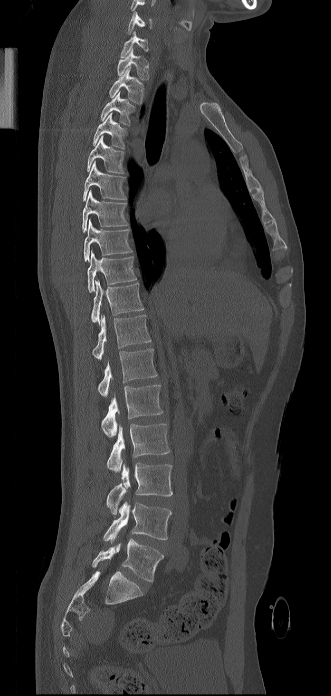 CT — sagittal view — the image spans 331 mm across — 331x696 px. Boxes: x1 y1 x2 y2 (pixel coords, space-separated). This scan's labels start at C6 at the top and end at L5 at the bottom. Vertebrae labeled: L5 at 92 538 163 581, L4 at 103 502 171 543, L3 at 106 462 172 514, L2 at 107 423 170 472, L1 at 101 384 162 437, T12 at 98 349 157 396, T11 at 92 315 151 359, T10 at 91 280 143 323, T9 at 87 250 136 292, T8 at 84 219 132 261, T7 at 82 190 127 232, T6 at 83 161 127 201, T5 at 87 135 124 173, T4 at 93 112 127 149, T3 at 100 91 135 125, T2 at 109 67 144 103, T1 at 117 48 148 79, C7 at 121 31 148 57, C6 at 127 11 151 33.